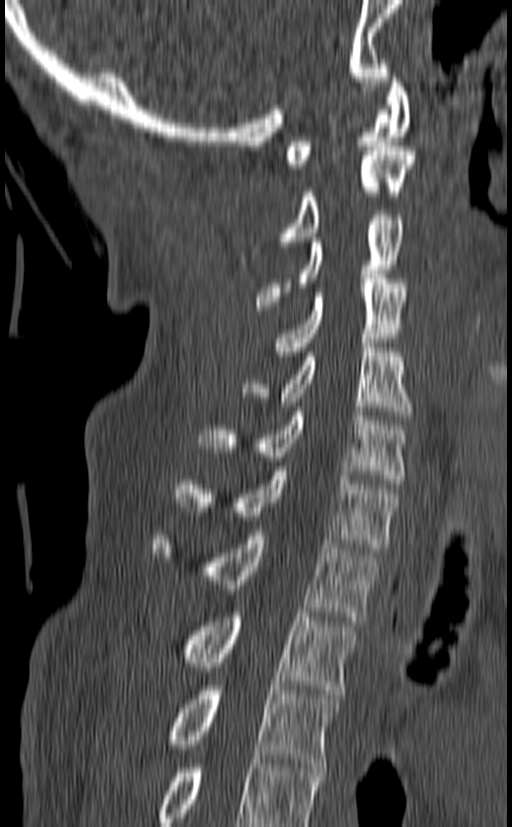

Spine CT; sagittal view; 140 mm across the image; Bone window (WL 400, WW 1800); 512x827 px

Box edges are left/top/right/bottom in pixels.
Labels in this scan begin with C1 at the top and end with T3 at the bottom.
| vertebra | x1 | y1 | x2 | y2 |
|---|---|---|---|---|
| C1 | 286 | 73 | 410 | 168 |
| C2 | 240 | 146 | 415 | 255 |
| C3 | 256 | 215 | 403 | 314 |
| C4 | 272 | 274 | 407 | 360 |
| C5 | 242 | 343 | 411 | 420 |
| C6 | 197 | 407 | 406 | 484 |
| C7 | 177 | 466 | 399 | 552 |
| T1 | 152 | 530 | 377 | 621 |
| T2 | 182 | 608 | 357 | 694 |
| T3 | 170 | 686 | 338 | 767 |